Spine computed tomography · sagittal view · bone window · 394 mm wide · scan covers 16 annotated vertebrae
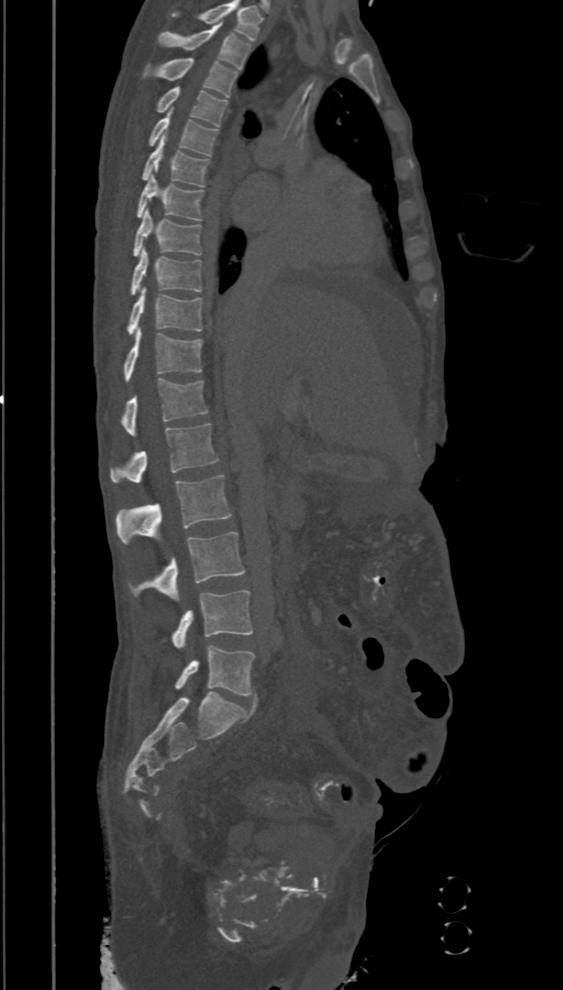 Labels in this scan begin with T2 at the top and end with L5 at the bottom.
<vertebrae><v name="T2" x1="158" y1="23" x2="251" y2="69"/><v name="T3" x1="144" y1="57" x2="238" y2="96"/><v name="T4" x1="157" y1="87" x2="228" y2="126"/><v name="T5" x1="148" y1="110" x2="218" y2="155"/><v name="T6" x1="141" y1="137" x2="209" y2="186"/><v name="T7" x1="137" y1="175" x2="203" y2="221"/><v name="T8" x1="133" y1="209" x2="200" y2="256"/><v name="T9" x1="130" y1="247" x2="201" y2="295"/><v name="T10" x1="128" y1="287" x2="201" y2="335"/><v name="T11" x1="124" y1="329" x2="203" y2="382"/><v name="T12" x1="121" y1="377" x2="208" y2="435"/><v name="L1" x1="110" y1="423" x2="219" y2="482"/><v name="L2" x1="115" y1="475" x2="232" y2="544"/><v name="L3" x1="128" y1="532" x2="244" y2="602"/><v name="L4" x1="171" y1="590" x2="253" y2="648"/><v name="L5" x1="175" y1="645" x2="255" y2="696"/></vertebrae>